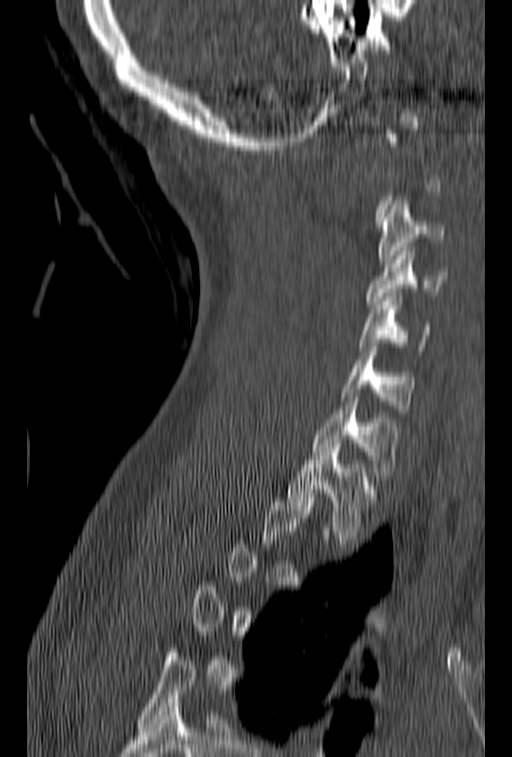
Computed tomography of the spine — sagittal reformat — 512x757 px

A vertebra is boxed only from the first to the last slice where its cross-section is at least a third of its largest; slices outside that range leave it without a box.
<vertebrae><v name="C3" x1="378" y1="197" x2="445" y2="263"/><v name="C4" x1="366" y1="247" x2="448" y2="309"/><v name="C5" x1="359" y1="293" x2="432" y2="350"/><v name="C6" x1="340" y1="343" x2="415" y2="413"/><v name="C7" x1="312" y1="393" x2="398" y2="484"/><v name="T1" x1="288" y1="452" x2="379" y2="543"/></vertebrae>